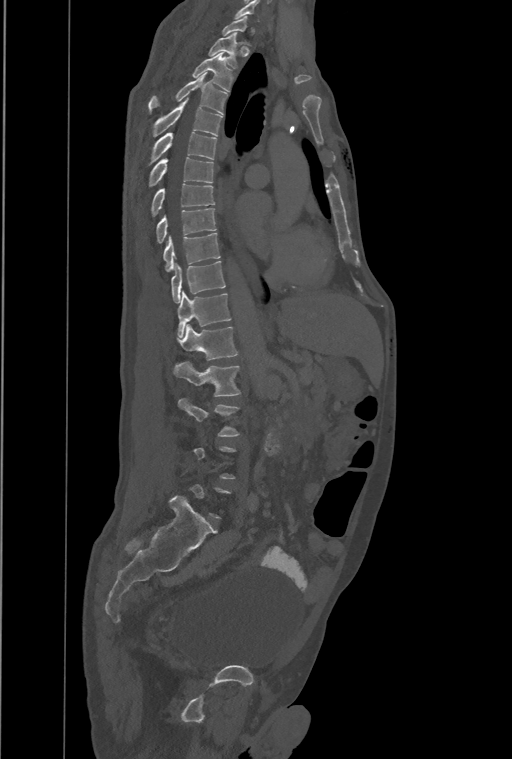
Spine computed tomography. sagittal view. Bone window (WL 400, WW 1800)

Boxes below are [x1, y1, x2, y2] in pixels.
Not every vertebra on this slice has a box: a vertebra is boxed only from the first to the last slice where its cross-section is at least a third of its largest, and this slice is outside that range for at least one of them.
In these labels the spine has a T13, a thirteenth thoracic vertebra, between T12 and L1.
{"vertebrae":{"T2":[208,32,236,67],"T3":[193,54,233,90],"T4":[148,72,227,114],"T5":[152,98,222,136],"T6":[148,132,216,165],"T7":[148,157,213,187],"T8":[151,184,214,216],"T9":[156,208,216,244],"T10":[163,232,219,271],"T11":[171,261,225,303],"T12":[177,291,231,337],"T13":[178,325,237,360],"L1":[174,361,241,396],"L2":[177,398,238,436]}}